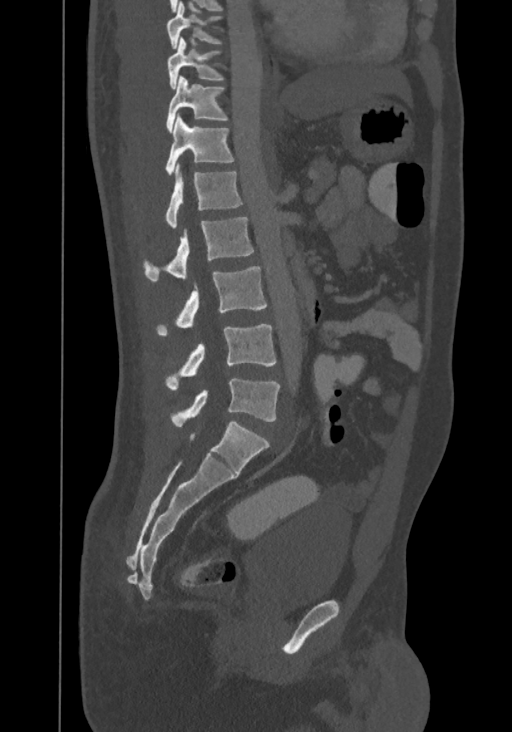

Spine CT · sagittal view · bone window · 512x732 px
In this scan, the topmost labeled vertebra is T8 and the lowest is L4.
<vertebrae><v name="T8" x1="167" y1="1" x2="222" y2="49"/><v name="T9" x1="167" y1="36" x2="225" y2="89"/><v name="T10" x1="166" y1="75" x2="228" y2="132"/><v name="T11" x1="166" y1="114" x2="235" y2="175"/><v name="T12" x1="164" y1="166" x2="243" y2="228"/><v name="L1" x1="143" y1="217" x2="254" y2="282"/><v name="L2" x1="155" y1="266" x2="267" y2="335"/><v name="L3" x1="164" y1="324" x2="276" y2="389"/><v name="L4" x1="170" y1="378" x2="279" y2="427"/></vertebrae>